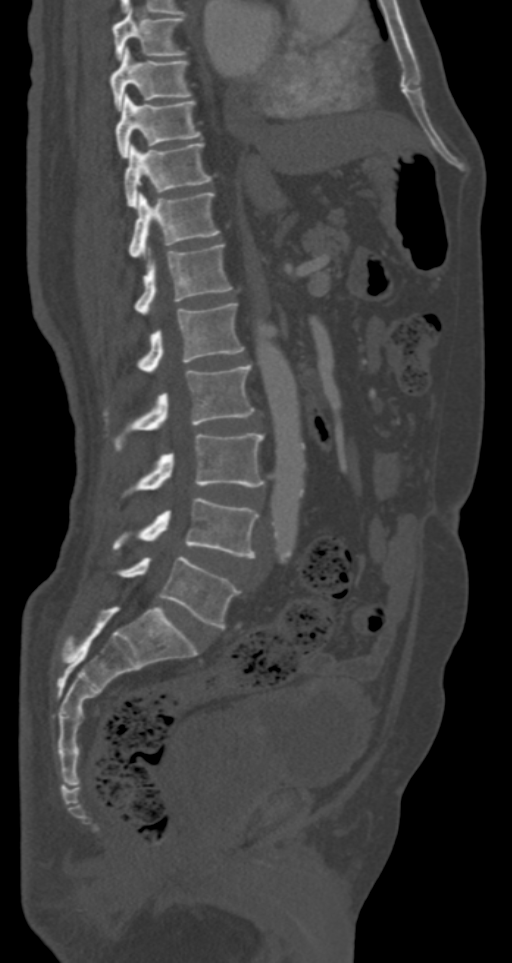
Spine computed tomography · sagittal view · Bone window (WL 400, WW 1800)
Bounding boxes as [x1, y1, x2, y2] in pixel coordinates.
Vertebra bounding boxes:
- T7: [112, 10, 184, 59]
- T8: [110, 47, 191, 109]
- T9: [116, 94, 200, 158]
- T10: [124, 142, 211, 208]
- T11: [128, 192, 218, 257]
- T12: [135, 244, 232, 315]
- L1: [139, 303, 243, 374]
- L2: [116, 366, 254, 449]
- L3: [135, 433, 264, 490]
- L4: [112, 497, 259, 557]
- L5: [119, 556, 239, 628]